CT, spine · sagittal plane, index 251 · image 401 mm wide
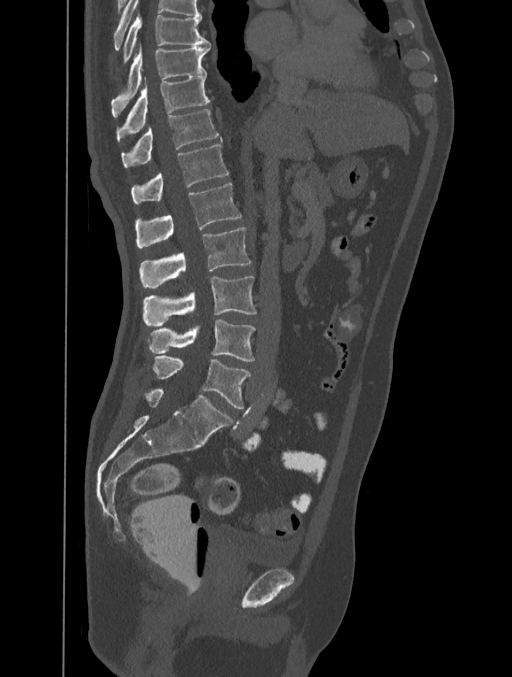
Each box given as x1,y1,x2,y2. In this scan, the topmost labeled vertebra is T8 and the lowest is L5. The labeled vertebrae in this slice are: T8 at x1=122, y1=15, x2=210, y2=65, T9 at x1=112, y1=45, x2=210, y2=110, T10 at x1=116, y1=75, x2=210, y2=140, T11 at x1=121, y1=109, x2=222, y2=167, T12 at x1=131, y1=145, x2=229, y2=204, L1 at x1=135, y1=183, x2=241, y2=248, L2 at x1=139, y1=228, x2=250, y2=287, L3 at x1=143, y1=276, x2=257, y2=327, L4 at x1=148, y1=319, x2=255, y2=361, L5 at x1=153, y1=355, x2=250, y2=409.